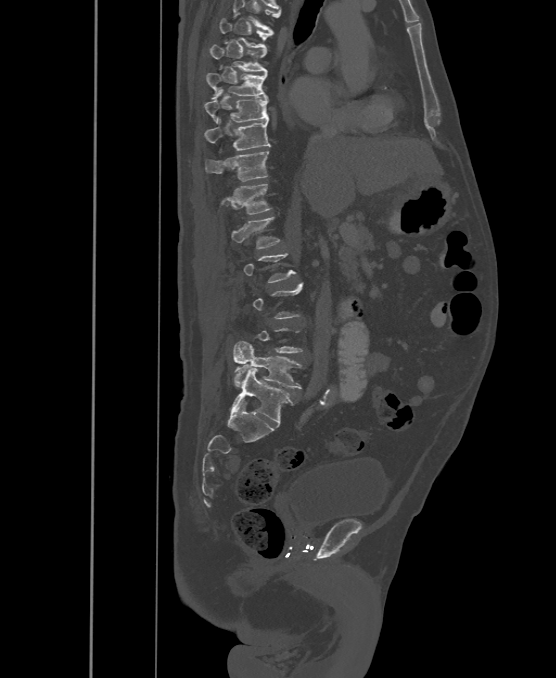

Computed tomography of the spine · sagittal view · Bone window (WL 400, WW 1800)
A vertebra is boxed only from the first to the last slice where its cross-section is at least a third of its largest; slices outside that range leave it without a box.
The highest labeled vertebra in this scan is T6; the lowest is L6.
The labels name a sixth lumbar vertebra for this spine: L6, after L5.
<vertebrae><v name="T6" x1="220" y1="18" x2="274" y2="49"/><v name="T7" x1="211" y1="45" x2="267" y2="72"/><v name="T8" x1="206" y1="73" x2="267" y2="99"/><v name="T9" x1="204" y1="96" x2="269" y2="122"/><v name="T10" x1="204" y1="118" x2="270" y2="150"/><v name="T11" x1="205" y1="151" x2="269" y2="182"/><v name="T12" x1="220" y1="184" x2="271" y2="214"/><v name="L1" x1="231" y1="217" x2="280" y2="248"/><v name="L5" x1="233" y1="341" x2="302" y2="388"/><v name="L6" x1="232" y1="369" x2="294" y2="424"/></vertebrae>